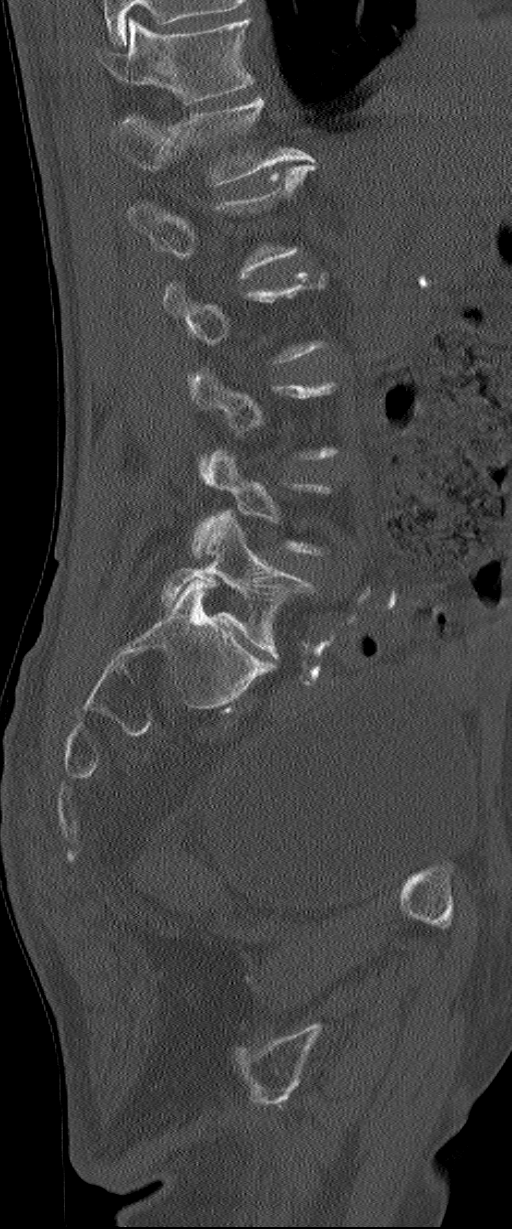

CT spine; 195 mm image width; sagittal view; 512x1229 px
A vertebra is boxed only from the first to the last slice where its cross-section is at least a third of its largest; slices outside that range leave it without a box.
The highest labeled vertebra in this scan is L1; the lowest is L6.
These labels give the spine a sixth lumbar vertebra, L6, below L5.
<vertebrae><v name="L1" x1="111" y1="98" x2="312" y2="184"/><v name="L2" x1="129" y1="166" x2="315" y2="278"/><v name="L6" x1="161" y1="510" x2="315" y2="659"/></vertebrae>